CT · 398 mm wide · sagittal view
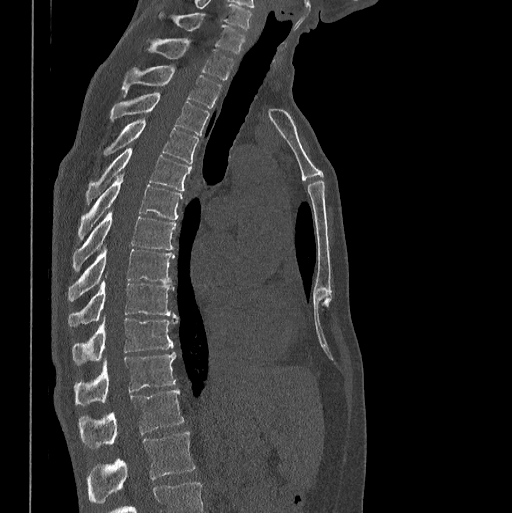 The highest labeled vertebra in this scan is C7; the lowest is L1.
<vertebrae><v name="C7" x1="159" y1="13" x2="245" y2="53"/><v name="T1" x1="148" y1="38" x2="233" y2="80"/><v name="T2" x1="122" y1="65" x2="221" y2="108"/><v name="T3" x1="110" y1="93" x2="209" y2="134"/><v name="T4" x1="103" y1="119" x2="198" y2="165"/><v name="T5" x1="86" y1="147" x2="191" y2="203"/><v name="T6" x1="78" y1="175" x2="182" y2="239"/><v name="T7" x1="73" y1="211" x2="175" y2="270"/><v name="T8" x1="68" y1="247" x2="174" y2="301"/><v name="T9" x1="68" y1="280" x2="174" y2="327"/><v name="T10" x1="72" y1="317" x2="178" y2="364"/><v name="T11" x1="74" y1="352" x2="175" y2="405"/><v name="T12" x1="78" y1="389" x2="184" y2="447"/><v name="L1" x1="87" y1="432" x2="194" y2="503"/></vertebrae>